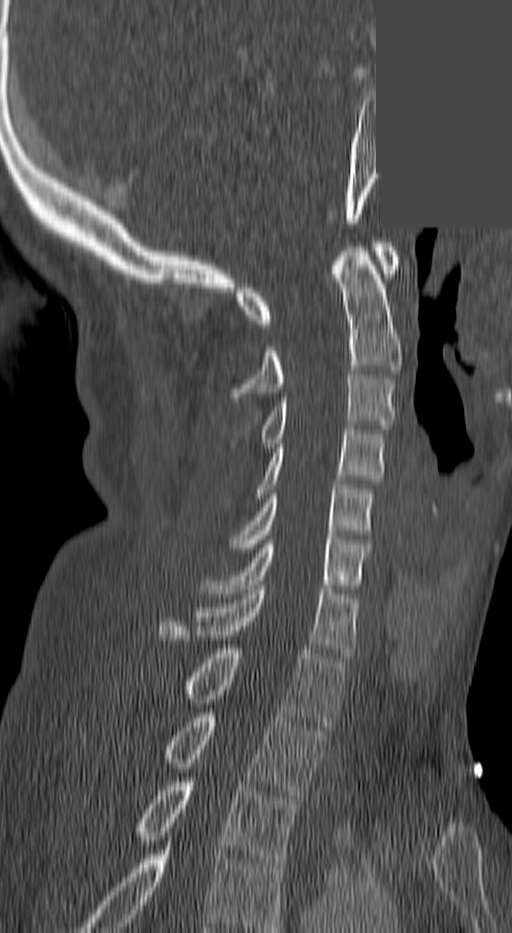
Spine computed tomography. sagittal view. W/L 1800/400 HU. 512x933 px. image 140 mm wide. a region of this slice is masked with a uniform fill
Boxes are (x1, y1, x2, y2) in pixels.
The highest labeled vertebra in this scan is C1; the lowest is T3.
T3: (133, 777, 300, 863)
T2: (162, 713, 323, 799)
T1: (184, 649, 344, 730)
C7: (159, 585, 355, 657)
C6: (202, 539, 370, 593)
C5: (232, 480, 373, 552)
C4: (257, 430, 384, 497)
C3: (261, 375, 395, 447)
C2: (232, 247, 399, 397)
C1: (235, 242, 399, 328)